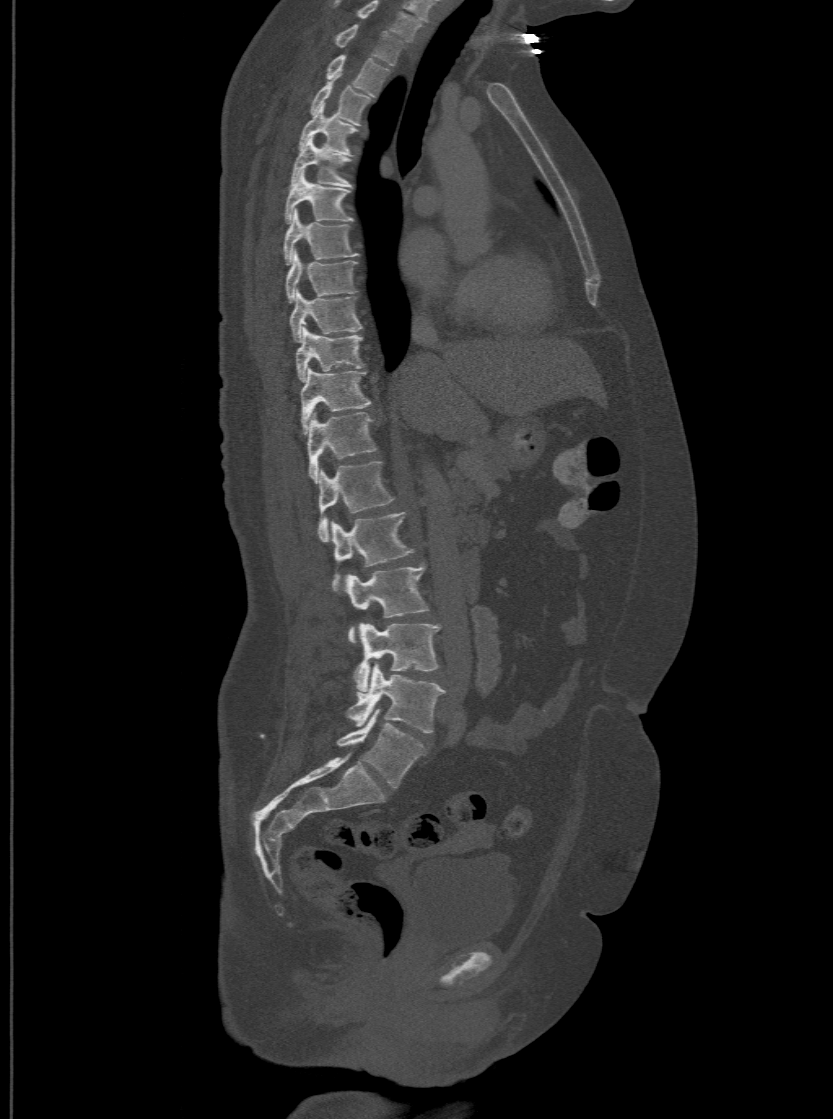

CT — the image is 500 mm wide — sagittal view

This scan's labels start at T1 at the top and end at L6 at the bottom.
In these labels the spine has an L6, a sixth lumbar vertebra below L5.
<vertebrae><v name="L6" x1="337" y1="709" x2="424" y2="788"/><v name="L5" x1="347" y1="664" x2="443" y2="733"/><v name="L4" x1="353" y1="623" x2="438" y2="693"/><v name="L3" x1="347" y1="566" x2="429" y2="643"/><v name="L2" x1="332" y1="512" x2="412" y2="592"/><v name="L1" x1="317" y1="460" x2="395" y2="541"/><v name="T12" x1="306" y1="412" x2="377" y2="481"/><v name="T11" x1="299" y1="368" x2="370" y2="432"/><v name="T10" x1="295" y1="327" x2="362" y2="381"/><v name="T9" x1="290" y1="290" x2="362" y2="341"/><v name="T8" x1="285" y1="252" x2="355" y2="301"/><v name="T7" x1="283" y1="212" x2="357" y2="264"/><v name="T6" x1="285" y1="173" x2="352" y2="222"/><v name="T5" x1="290" y1="137" x2="351" y2="186"/><v name="T4" x1="298" y1="105" x2="357" y2="154"/><v name="T3" x1="309" y1="82" x2="370" y2="124"/><v name="T2" x1="326" y1="53" x2="390" y2="94"/><v name="T1" x1="334" y1="23" x2="403" y2="64"/></vertebrae>